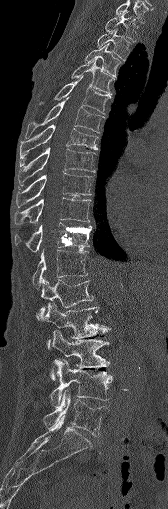
Spine CT; sagittal view; image 168 mm wide
Each vertebra maps to its box as [x1, y1, x2, y2], the pixel coordinates of its top-left and bottom-right corners.
{"vertebrae":{"C7":[115,1,147,22],"T1":[105,11,137,40],"T2":[97,29,130,59],"T3":[85,43,121,76],"T4":[72,59,114,96],"T5":[39,76,110,114],"T6":[26,98,103,138],"T7":[19,124,97,165],"T8":[17,148,94,186],"T9":[15,172,92,206],"T10":[15,197,90,224],"T11":[14,223,91,252],"T12":[32,249,87,288],"L1":[38,278,93,315],"L2":[39,303,106,346],"L3":[51,330,109,378],"L4":[50,359,112,407],"L5":[43,392,109,436]}}